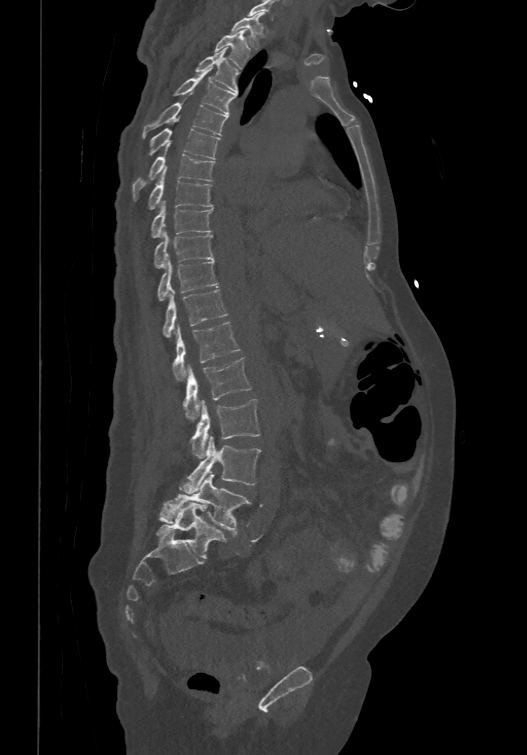
CT, spine; sagittal view; bone-window reconstruction
Each vertebra maps to its box as [x1, y1, x2, y2], the pixel coordinates of its top-left and bottom-right corners.
Labels in this scan begin with T1 at the top and end with L6 at the bottom.
The labels name a sixth lumbar vertebra for this spine: L6, after L5.
{"vertebrae":{"T1":[231,12,265,49],"T2":[214,29,249,67],"T3":[195,47,239,92],"T4":[175,67,237,114],"T5":[142,102,227,139],"T6":[147,127,220,157],"T7":[132,153,215,200],"T8":[147,167,213,209],"T9":[150,200,212,237],"T10":[153,230,213,267],"T11":[156,256,218,300],"T12":[163,288,226,335],"L1":[172,321,240,381],"L2":[182,356,251,420],"L3":[190,398,260,458],"L4":[180,436,261,493],"L5":[158,473,251,531],"L6":[156,502,226,558]}}